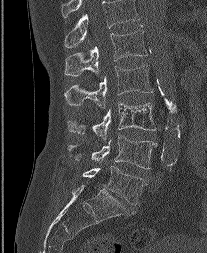
CT spine; sagittal view; bone window; 207x253 px
Each box is [x1, y1, x2, y2] in pixels: top-left corner, then bottom-right corner.
In this scan, the topmost labeled vertebra is L1 and the lowest is L5.
{"vertebrae":{"L1":[65,26,147,76],"L2":[65,65,152,108],"L3":[67,102,155,141],"L4":[68,136,157,169],"L5":[83,166,146,204]}}